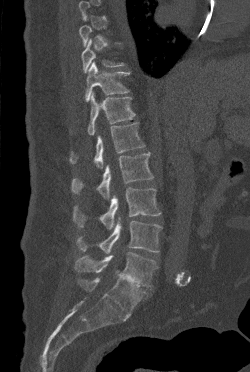
Spine CT; sagittal view; 250 mm wide; bone window; 250x372 px
In the table, x1 and y1 are a box's top-left corner and x2 and y2 its bottom-right corner, in pixels.
A vertebra is boxed only from the first to the last slice where its cross-section is at least a third of its largest; slices outside that range leave it without a box.
| vertebra | x1 | y1 | x2 | y2 |
|---|---|---|---|---|
| T10 | 81 | 39 | 124 | 72 |
| T11 | 85 | 61 | 129 | 101 |
| T12 | 88 | 92 | 135 | 135 |
| L1 | 70 | 122 | 145 | 168 |
| L2 | 71 | 152 | 153 | 198 |
| L3 | 73 | 187 | 161 | 229 |
| L4 | 77 | 216 | 162 | 253 |
| L5 | 76 | 252 | 157 | 287 |